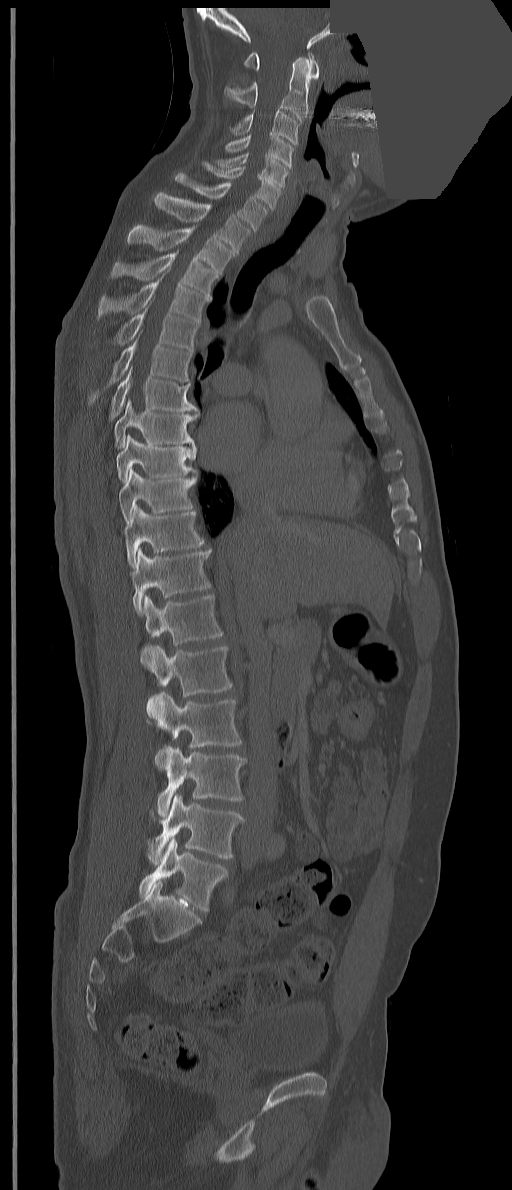
Computed tomography of the spine. sagittal view. bone-window reconstruction. 512x1190 px. part of the image is a flat gray fill, not anatomy
Each box given as x1,y1,x2,y2.
The labels name an extra thoracic vertebra here, T13, which comes after T12 and before L1.
C1: x1=243, y1=51, x2=319, y2=79
C2: x1=224, y1=56, x2=310, y2=122
C3: x1=230, y1=109, x2=298, y2=144
C4: x1=225, y1=134, x2=294, y2=168
C5: x1=216, y1=152, x2=289, y2=188
C6: x1=202, y1=162, x2=280, y2=210
C7: x1=175, y1=172, x2=267, y2=230
T1: x1=154, y1=192, x2=250, y2=254
T2: x1=127, y1=225, x2=235, y2=274
T3: x1=111, y1=250, x2=218, y2=296
T4: x1=98, y1=267, x2=208, y2=322
T5: x1=114, y1=297, x2=199, y2=352
T6: x1=89, y1=330, x2=192, y2=405
T7: x1=110, y1=366, x2=199, y2=419
T8: x1=114, y1=398, x2=198, y2=458
T9: x1=117, y1=435, x2=196, y2=482
T10: x1=118, y1=469, x2=196, y2=523
T11: x1=124, y1=505, x2=203, y2=568
T12: x1=132, y1=549, x2=211, y2=615
T13: x1=140, y1=595, x2=222, y2=667
L1: x1=146, y1=645, x2=233, y2=718
L2: x1=155, y1=692, x2=241, y2=769
L3: x1=158, y1=746, x2=246, y2=817
L4: x1=148, y1=795, x2=244, y2=865
L5: x1=139, y1=838, x2=227, y2=911